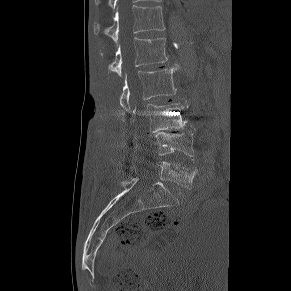

Computed tomography of the spine; sagittal view; bone-window reconstruction; 291x291 px
Box edges are left/top/right/bottom in pixels. 6 vertebrae labeled — T12 at left=94, top=5, right=164, bottom=45; L1 at left=108, top=37, right=167, bottom=76; L2 at left=120, top=68, right=176, bottom=110; L3 at left=133, top=101, right=188, bottom=132; L4 at left=156, top=131, right=193, bottom=161; L5 at left=131, top=162, right=196, bottom=188.